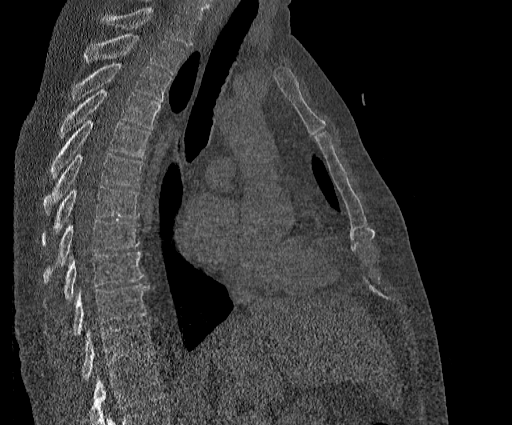

CT, spine; sagittal view; W/L 1800/400 HU
Each box is [x1, y1, x2, y2] in pixels: top-left corner, then bottom-right corner.
No box is given to a vertebra that the top edge of the scan cuts off.
Labels in this scan begin with T2 at the top and end with T11 at the bottom.
{"vertebrae":{"T2":[84,33,184,74],"T3":[72,63,171,100],"T4":[60,89,160,136],"T5":[50,120,149,178],"T6":[44,153,143,214],"T7":[41,187,139,246],"T8":[42,220,140,282],"T9":[44,252,143,307],"T10":[72,284,149,335],"T11":[81,323,155,380]}}